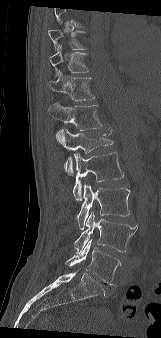
CT spine; sagittal view. In the table, x1 and y1 are a box's top-left corner and x2 and y2 its bottom-right corner, in pixels.
Where the top of the scan cuts through a vertebra, that vertebra gets no label or box.
| vertebra | x1 | y1 | x2 | y2 |
|---|---|---|---|---|
| T9 | 48 | 29 | 84 | 50 |
| T10 | 50 | 45 | 88 | 78 |
| T11 | 49 | 71 | 95 | 101 |
| T12 | 48 | 102 | 102 | 143 |
| L1 | 59 | 127 | 113 | 174 |
| L2 | 72 | 152 | 124 | 200 |
| L3 | 77 | 183 | 130 | 229 |
| L4 | 74 | 211 | 137 | 253 |
| L5 | 65 | 239 | 120 | 285 |